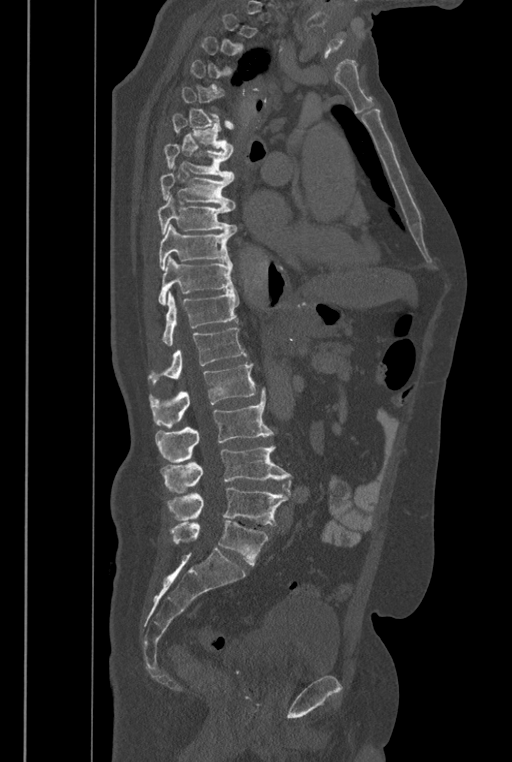

Spine CT · sagittal view. Boxes are (x1, y1, x2, y2) in pixels.
Not every vertebra on this slice has a box: a vertebra is boxed only from the first to the last slice where its cross-section is at least a third of its largest, and this slice is outside that range for at least one of them.
In these labels the spine has an L6, a sixth lumbar vertebra below L5.
Vertebra bounding boxes:
- T6: (172, 113, 233, 152)
- T7: (164, 144, 234, 180)
- T8: (159, 173, 235, 210)
- T9: (157, 195, 237, 235)
- T10: (158, 224, 233, 270)
- T11: (158, 256, 234, 305)
- T12: (162, 291, 238, 345)
- L1: (149, 328, 247, 384)
- L2: (149, 363, 255, 428)
- L3: (155, 388, 272, 462)
- L4: (161, 445, 293, 497)
- L5: (168, 487, 287, 525)
- L6: (171, 521, 268, 565)